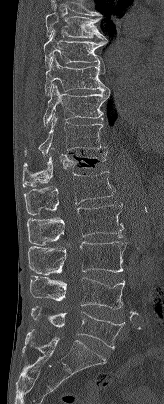

CT — 164 mm image width — sagittal view
Boxes: x1:y1:x2:y2 in pixels.
This scan's labels start at T7 at the top and end at L5 at the bottom.
Vertebra bounding boxes:
- T7: 45:12:107:40
- T8: 43:30:107:67
- T9: 44:55:109:95
- T10: 43:83:110:127
- T11: 24:113:106:155
- T12: 22:148:107:186
- L1: 23:171:115:215
- L2: 27:203:123:245
- L3: 28:241:126:275
- L4: 30:276:124:309
- L5: 31:306:124:348